Spine CT; sagittal reformat; 381x252 px; 7 vertebrae labeled in this scan
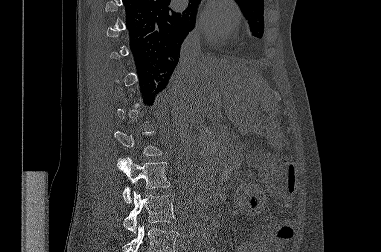 Coordinates as <box>x1,y1,x2,y2</box>.
A vertebra gets a box only on the slices from the first to the last where its cross-section is at least a third of its largest; on a slice outside that range it gets none.
A vertebra cut off by the bottom edge of the scan is not labeled and has no box.
Vertebra bounding boxes:
- L2: <box>117,157,170,202</box>
- L3: <box>123,191,176,233</box>